CT spine · Sagittal slice 238/512 · bone window · scan covers 8 annotated vertebrae
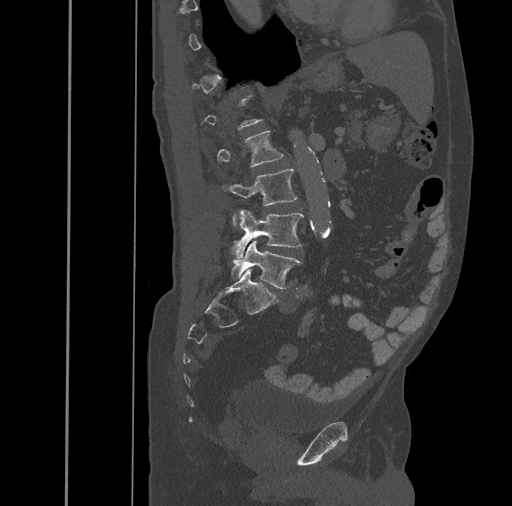

Boxes are (x1, y1, x2, y2) in pixels.
Each vertebra is boxed only on the slices from the first to the last where its cross-section reaches a third of its largest, so a slice outside that range leaves it unboxed.
Vertebra bounding boxes:
- L5: (231, 239, 302, 288)
- L4: (232, 209, 304, 259)
- L3: (222, 168, 297, 226)
- L2: (216, 131, 284, 167)